Computed tomography of the spine; Sagittal slice 71/160; bone-window reconstruction; an area of the scan was removed and filled with constant pixels
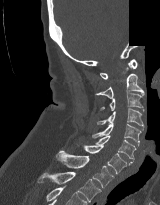

Each box given as x1,y1,x2,y2. Vertebrae labeled: T2 at x1=37, y1=172, x2=101, y2=202, T1 at x1=56, y1=150, x2=114, y2=187, C7 at x1=83, y1=145, x2=132, y2=173, C6 at x1=96, y1=135, x2=136, y2=162, C5 at x1=92, y1=123, x2=143, y2=146, C4 at x1=97, y1=108, x2=144, y2=127, C3 at x1=100, y1=93, x2=144, y2=111, C2 at x1=95, y1=73, x2=144, y2=98, C1 at x1=100, y1=59, x2=137, y2=79.